Spine computed tomography. Sagittal slice 361/512. 512x929 px. 157 mm across the image
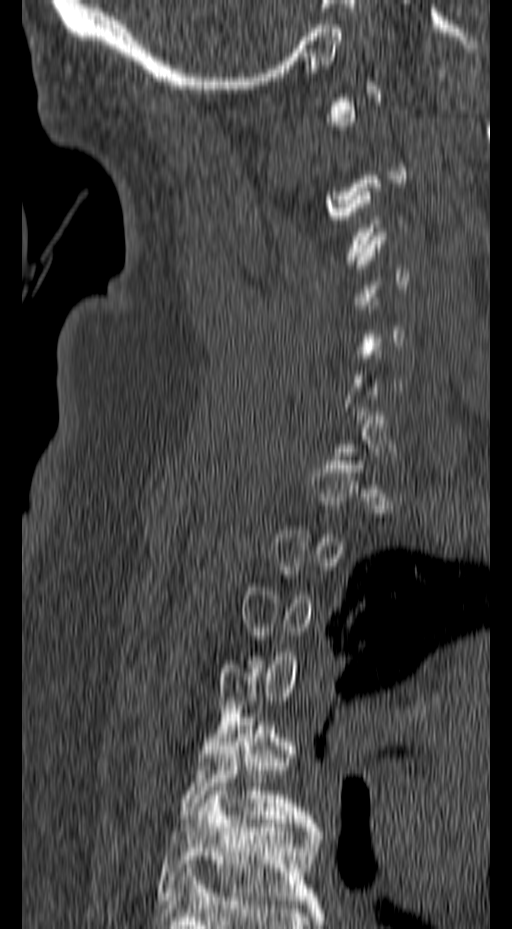
Boxes are (x1, y1, x2, y2) in pixels. A vertebra gets a box only on the slices from the first to the last where its cross-section is at least a third of its largest; on a slice outside that range it gets none. Vertebrae labeled: T5 at (180, 717, 317, 827), T6 at (157, 787, 320, 904).